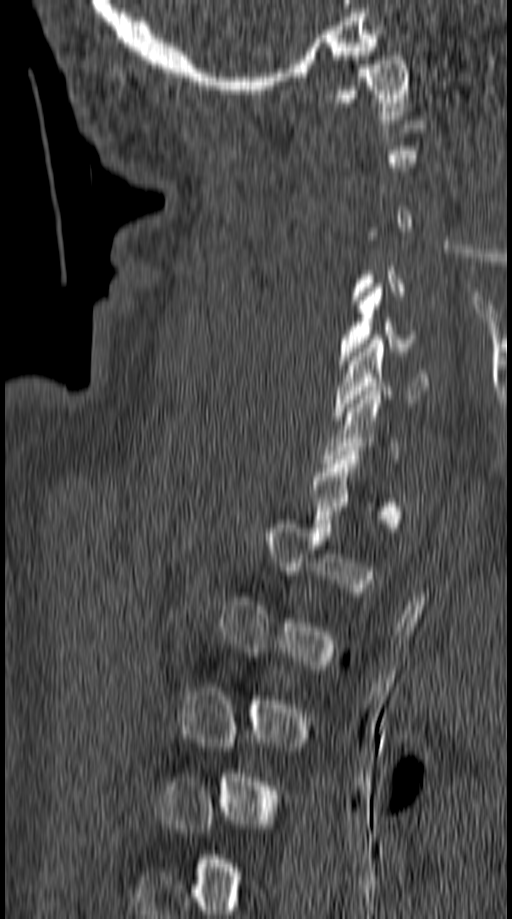

CT; sagittal view
Each vertebra is boxed only on the slices from the first to the last where its cross-section reaches a third of its largest, so a slice outside that range leaves it unboxed.
<vertebrae><v name="C1" x1="331" y1="56" x2="409" y2="119"/><v name="C5" x1="338" y1="283" x2="419" y2="364"/><v name="C6" x1="333" y1="339" x2="430" y2="420"/></vertebrae>